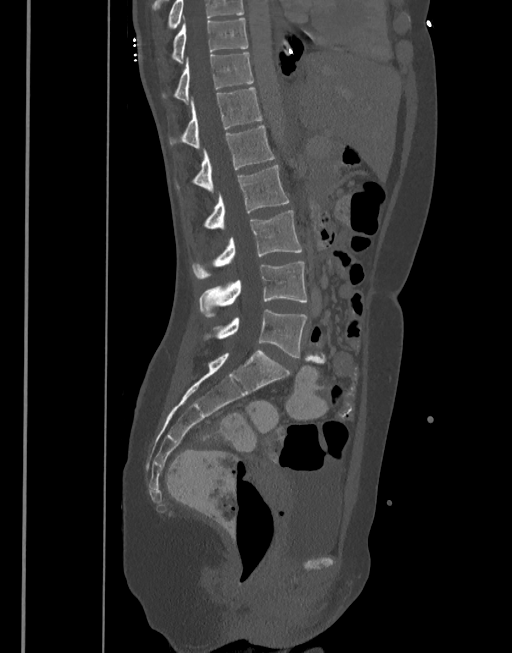
CT — sagittal view — Bone window (WL 400, WW 1800)
Box edges are left/top/right/bottom in pixels.
This scan's labels start at T10 at the top and end at L5 at the bottom.
| vertebra | x1 | y1 | x2 | y2 |
|---|---|---|---|---|
| L5 | 205 | 309 | 307 | 357 |
| L4 | 198 | 262 | 307 | 317 |
| L3 | 191 | 210 | 302 | 279 |
| L2 | 204 | 165 | 289 | 228 |
| L1 | 176 | 126 | 275 | 191 |
| T12 | 170 | 88 | 262 | 148 |
| T11 | 163 | 53 | 253 | 102 |
| T10 | 171 | 18 | 247 | 63 |